CT spine — sagittal view — 9 vertebrae labeled in this scan
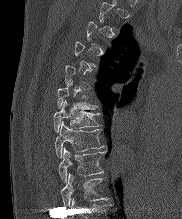
A vertebra gets a box only on the slices from the first to the last where its cross-section is at least a third of its largest; on a slice outside that range it gets none.
Labels in this scan begin with T2 at the top and end with T10 at the bottom.
<vertebrae><v name="T6" x1="57" y1="83" x2="95" y2="109"/><v name="T7" x1="53" y1="100" x2="99" y2="132"/><v name="T8" x1="54" y1="123" x2="103" y2="157"/><v name="T9" x1="58" y1="148" x2="105" y2="181"/><v name="T10" x1="60" y1="174" x2="104" y2="207"/></vertebrae>